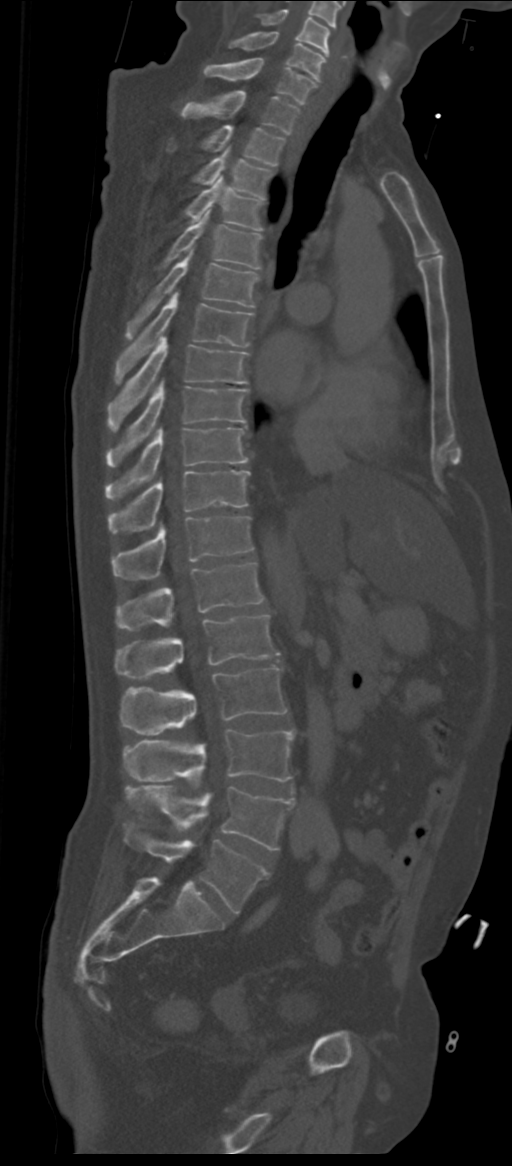 CT · image 311 mm wide · sagittal view · W/L 1800/400 HU

Boxes: x1:y1:x2:y2 in pixels.
In these labels the spine has an L6, a sixth lumbar vertebra below L5.
Vertebra bounding boxes:
- C5: 257:9:329:55
- C6: 229:32:325:82
- C7: 204:58:315:105
- T1: 181:91:299:134
- T2: 203:125:284:166
- T3: 195:149:271:197
- T4: 186:177:264:230
- T5: 163:209:261:268
- T6: 125:251:258:339
- T7: 116:292:253:383
- T8: 107:336:248:428
- T9: 107:381:246:465
- T10: 106:427:248:500
- T11: 109:470:250:533
- T12: 112:516:253:579
- L1: 116:562:263:630
- L2: 116:615:279:679
- L3: 121:666:286:734
- L4: 127:730:294:787
- L5: 124:786:294:849
- L6: 124:822:268:913